Computed tomography of the spine; Sagittal slice 341/512; Bone window (WL 400, WW 1800); image width 157 mm
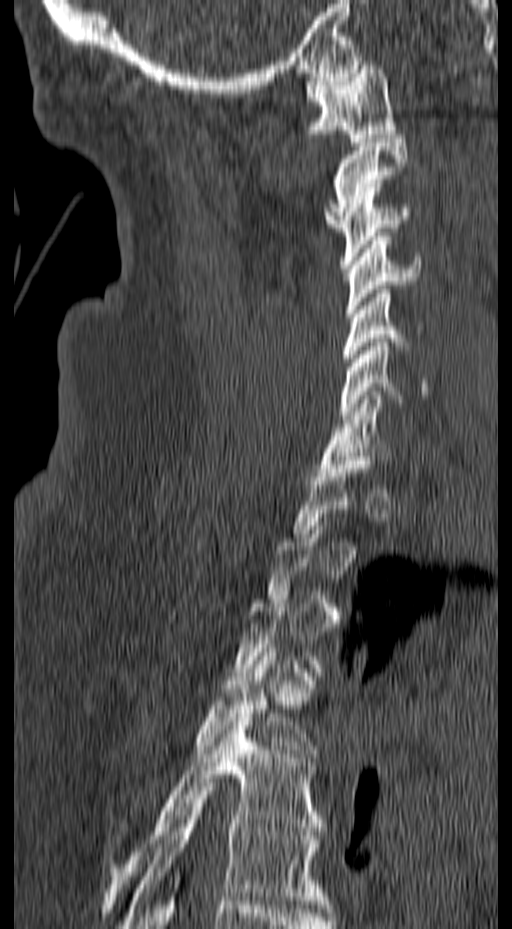
Each box is [x1, y1, x2, y2] in pixels: top-left corner, then bottom-right corner.
A vertebra gets a box only on the slices from the first to the last where its cross-section is at least a third of its largest; on a slice outside that range it gets none.
{"vertebrae":{"C1":[304,65,396,142],"C2":[324,135,408,231],"C3":[339,183,410,268],"C4":[345,232,421,317],"C5":[343,285,407,370],"C6":[340,338,428,419],"C7":[317,391,391,476],"T4":[194,648,317,757],"T5":[103,713,324,912],"T6":[121,787,330,928]}}